Spine CT. sagittal plane, index 284
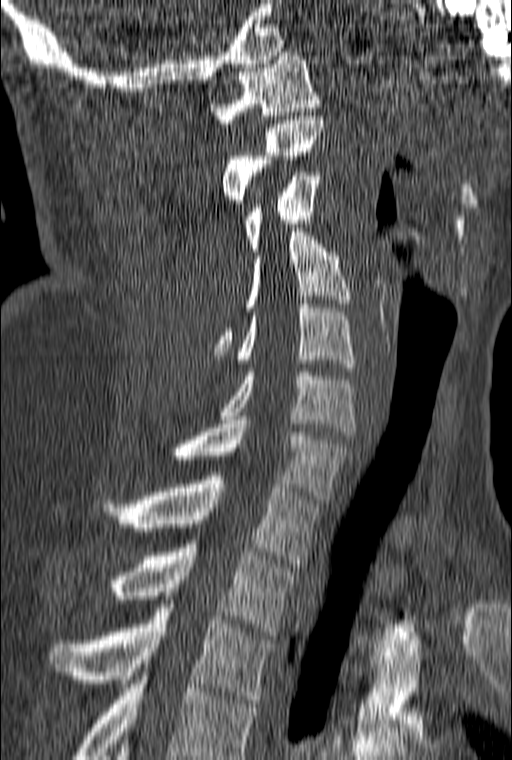
Boxes are (x1, y1, x2, y2) in pixels.
The highest labeled vertebra in this scan is C1; the lowest is T3.
T3: (49, 604, 275, 703)
T2: (110, 544, 295, 635)
T1: (103, 472, 319, 567)
C7: (174, 420, 349, 503)
C6: (220, 368, 355, 435)
C5: (237, 300, 355, 371)
C4: (214, 228, 349, 355)
C3: (244, 168, 321, 251)
C2: (222, 116, 323, 207)
C1: (209, 52, 320, 123)